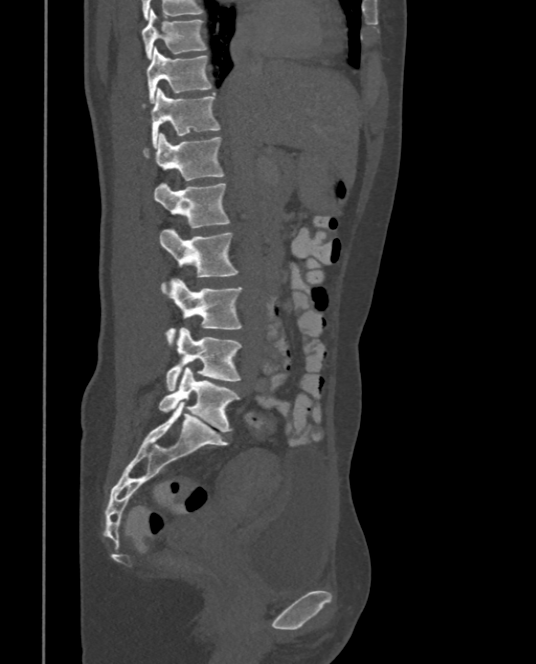

Computed tomography of the spine. sagittal view. Bone window (WL 400, WW 1800). 375 mm image width
Each box is [x1, y1, x2, y2] in pixels: top-left corner, then bottom-right corner.
{"vertebrae":{"T9":[141,10,206,60],"T10":[146,47,211,103],"T11":[152,88,220,146],"T12":[142,133,225,180],"L1":[154,183,230,227],"L2":[159,228,238,292],"L3":[165,278,242,343],"L4":[165,327,242,390],"L5":[158,367,239,432]}}